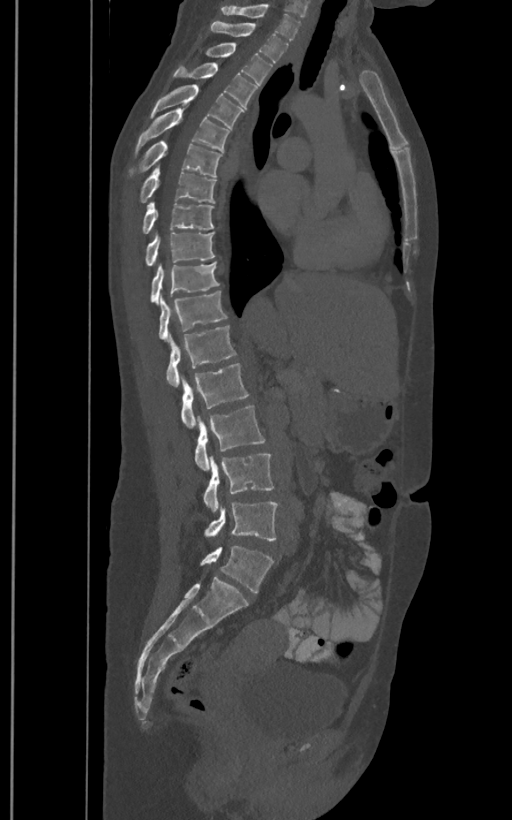
CT spine. sagittal reformat. image width 400 mm. 512x820 px
Box edges are left/top/right/bottom in pixels.
These labels give the spine a sixth lumbar vertebra, L6, below L5.
| vertebra | x1 | y1 | x2 | y2 |
|---|---|---|---|---|
| T1 | 221 | 3 | 301 | 39 |
| T2 | 210 | 22 | 288 | 62 |
| T3 | 206 | 43 | 271 | 90 |
| T4 | 173 | 62 | 257 | 107 |
| T5 | 150 | 84 | 243 | 127 |
| T6 | 134 | 108 | 229 | 155 |
| T7 | 129 | 141 | 220 | 176 |
| T8 | 139 | 165 | 216 | 203 |
| T9 | 142 | 202 | 214 | 233 |
| T10 | 144 | 232 | 215 | 266 |
| T11 | 150 | 262 | 219 | 303 |
| T12 | 159 | 290 | 227 | 341 |
| L1 | 166 | 325 | 236 | 387 |
| L2 | 180 | 363 | 248 | 428 |
| L3 | 194 | 406 | 265 | 471 |
| L4 | 203 | 453 | 274 | 512 |
| L5 | 205 | 501 | 278 | 540 |
| L6 | 201 | 545 | 273 | 592 |